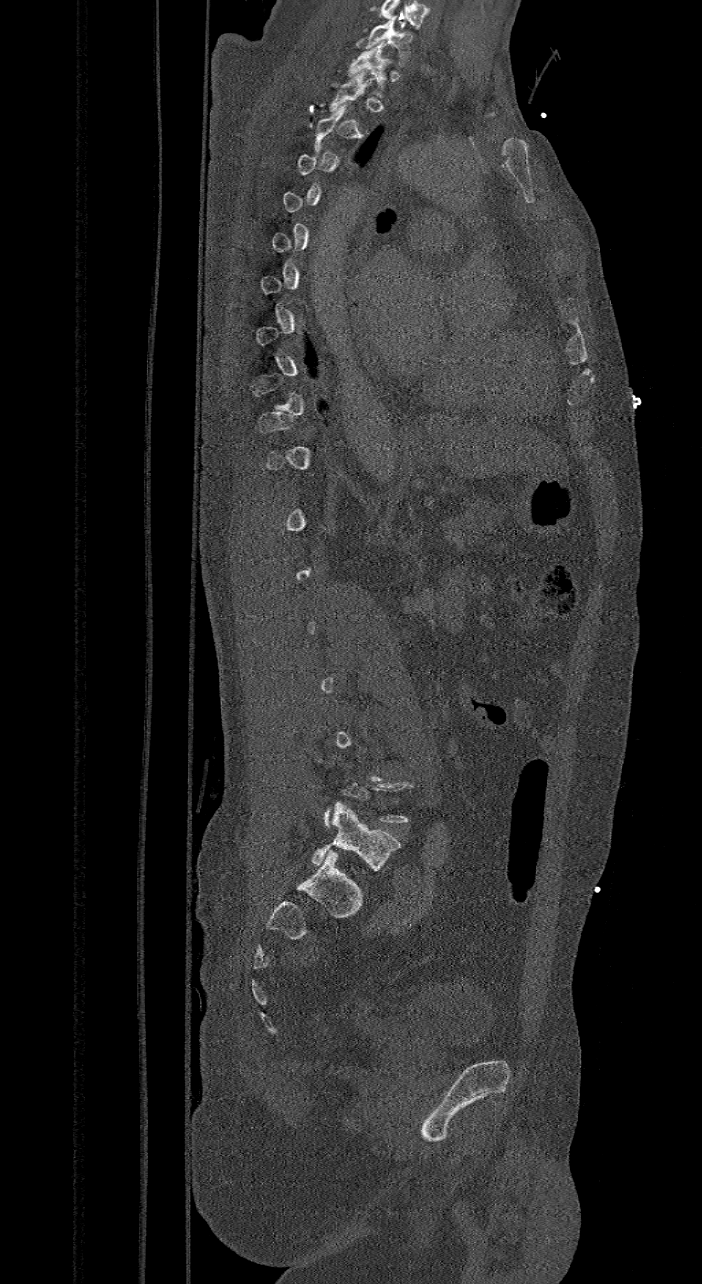 CT, spine · sagittal reformat · W/L 1800/400 HU
Boxes are (x1, y1, x2, y2) in pixels. A vertebra is boxed only from the first to the last slice where its cross-section is at least a third of its largest; slices outside that range leave it without a box. Labels in this scan begin with C7 at the top and end with L6 at the bottom. The labels name a sixth lumbar vertebra for this spine: L6, after L5. 3 vertebrae labeled — L6 at (311, 802, 401, 872); T1 at (348, 42, 390, 97); C7 at (366, 18, 412, 66).